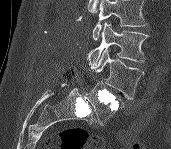

CT, spine; sagittal view; 171x149 px; 171 mm image width
Box edges are left/top/right/bottom in pixels.
No box is given to a vertebra that the top edge of the scan cuts off.
L3: left=87, top=22, right=148, bottom=67
L4: left=90, top=48, right=144, bottom=99
L5: left=85, top=81, right=123, bottom=125